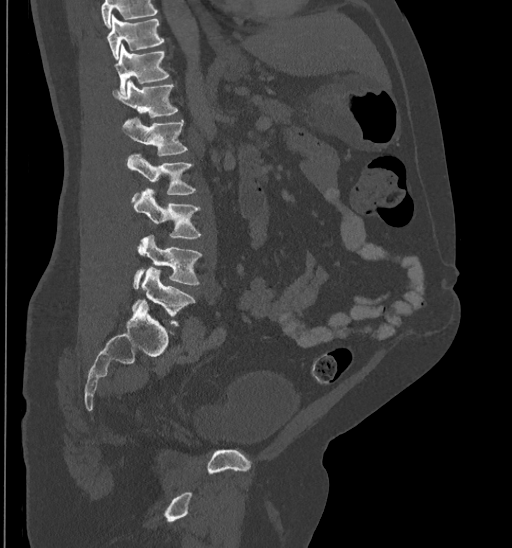

Computed tomography of the spine; sagittal view
Boxes are (x1, y1, x2, y2) in pixels.
Where the top of the scan cuts through a vertebra, that vertebra gets no label or box.
Vertebra bounding boxes:
- T10: (107, 15, 164, 59)
- T11: (115, 44, 170, 95)
- T12: (112, 79, 178, 118)
- L1: (122, 117, 187, 155)
- L2: (126, 154, 197, 195)
- L3: (134, 187, 201, 238)
- L4: (133, 235, 203, 289)
- L5: (132, 268, 195, 325)